Spine CT — sagittal plane, index 262 — scan covers 10 annotated vertebrae
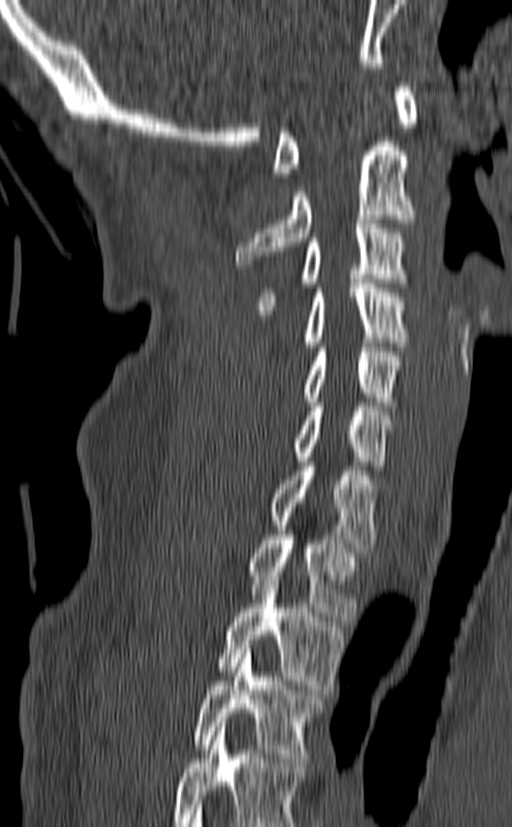

The highest labeled vertebra in this scan is C1; the lowest is T3.
<vertebrae><v name="T3" x1="193" y1="645" x2="326" y2="762"/><v name="T2" x1="217" y1="571" x2="344" y2="689"/><v name="T1" x1="246" y1="530" x2="360" y2="621"/><v name="C7" x1="268" y1="462" x2="377" y2="552"/><v name="C6" x1="294" y1="402" x2="392" y2="465"/><v name="C5" x1="301" y1="347" x2="403" y2="406"/><v name="C4" x1="304" y1="279" x2="406" y2="351"/><v name="C3" x1="258" y1="219" x2="409" y2="314"/><v name="C2" x1="235" y1="142" x2="415" y2="264"/><v name="C1" x1="272" y1="82" x2="418" y2="177"/></vertebrae>